CT, spine; Sagittal slice 396/685
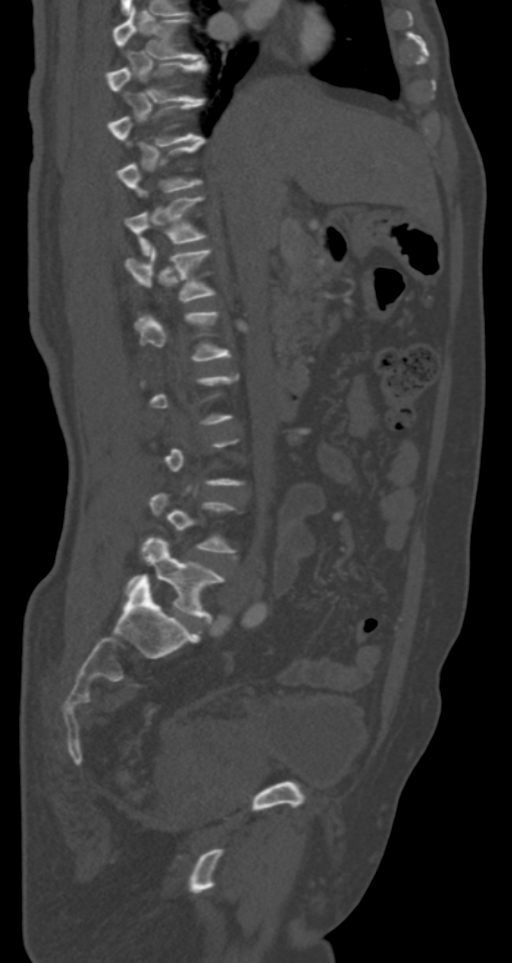

Bounding boxes as [x1, y1, x2, y2] in pixel coordinates.
A vertebra gets a box only on the slices from the first to the last where its cross-section is at least a third of its largest; on a slice outside that range it gets none.
T7: [112, 6, 204, 59]
T8: [107, 60, 206, 103]
T11: [124, 196, 206, 254]
T12: [124, 246, 214, 302]
L5: [126, 537, 225, 621]